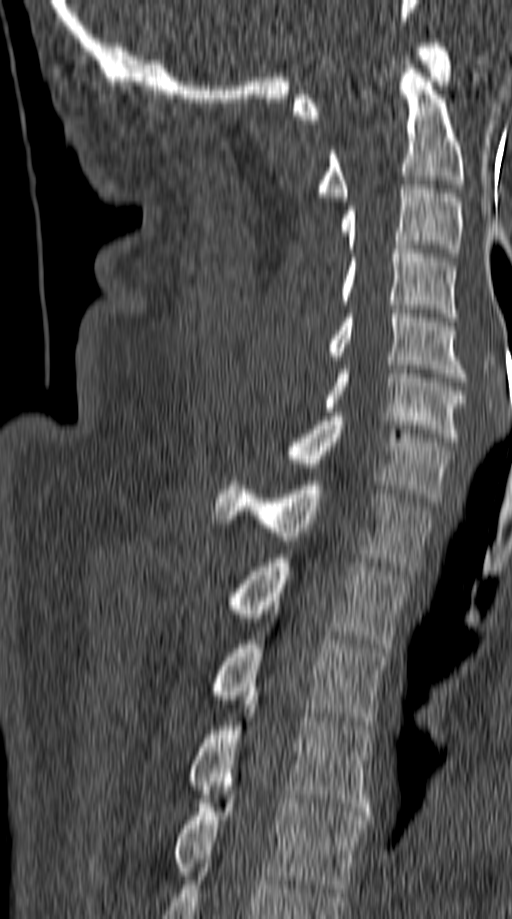
CT; sagittal view; bone window

Bounding boxes as [x1, y1, x2, y2] in pixel coordinates.
Vertebra bounding boxes:
- C1: [293, 43, 452, 119]
- C2: [317, 64, 464, 201]
- C3: [341, 185, 461, 257]
- C4: [341, 245, 457, 321]
- C5: [329, 309, 466, 381]
- C6: [322, 365, 465, 441]
- C7: [283, 412, 452, 502]
- T1: [214, 481, 433, 570]
- T2: [225, 554, 409, 652]
- T3: [211, 640, 385, 729]
- T4: [187, 696, 371, 815]
- T5: [173, 795, 368, 892]